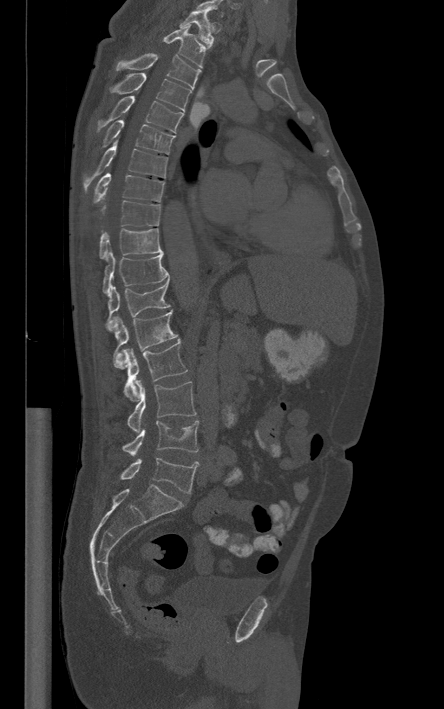 Computed tomography of the spine. sagittal view. bone window. 444x709 px. Bounding boxes as [x1, y1, x2, y2] in pixel coordinates.
Labels in this scan begin with T1 at the top and end with L5 at the bottom.
Vertebra bounding boxes:
- T1: [180, 11, 213, 47]
- T2: [163, 24, 205, 67]
- T3: [117, 53, 200, 88]
- T4: [111, 73, 191, 112]
- T5: [96, 96, 183, 134]
- T6: [103, 120, 175, 154]
- T7: [83, 139, 167, 190]
- T8: [93, 173, 164, 202]
- T9: [101, 200, 160, 225]
- T10: [99, 228, 163, 259]
- T11: [103, 249, 169, 294]
- T12: [106, 281, 169, 330]
- L1: [113, 311, 177, 369]
- L2: [122, 340, 187, 400]
- L3: [127, 380, 196, 433]
- L4: [123, 420, 198, 456]
- L5: [121, 457, 198, 493]